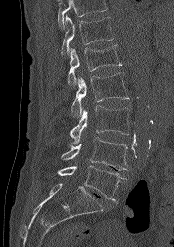

Spine CT · sagittal view · bone window · 174x247 px

Each box given as x1,y1,x2,y2.
No box is given to a vertebra that the top edge of the scan cuts off.
| vertebra | x1 | y1 | x2 | y2 |
|---|---|---|---|---|
| L5 | 57 | 165 | 125 | 201 |
| L4 | 61 | 137 | 129 | 170 |
| L3 | 70 | 105 | 129 | 144 |
| L2 | 71 | 73 | 129 | 117 |
| L1 | 67 | 44 | 121 | 87 |
| T12 | 61 | 15 | 114 | 56 |